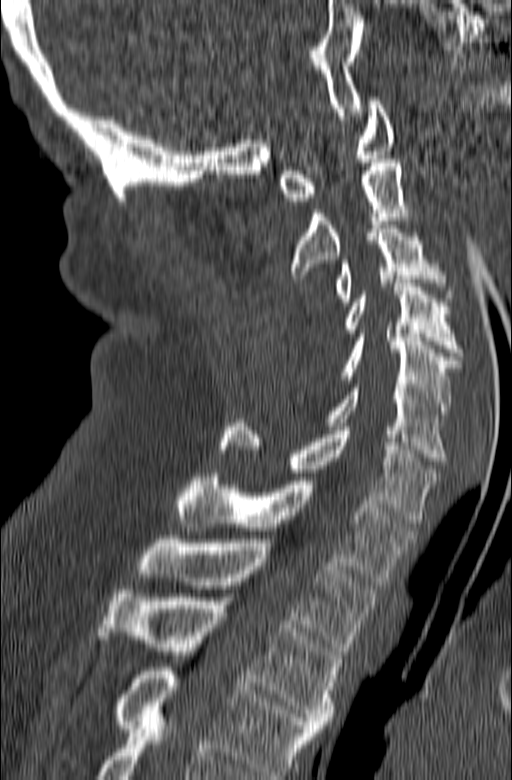

CT, spine · sagittal view · 165 mm across the image

Boxes are (x1, y1, x2, y2) in pixels.
Labels in this scan begin with C1 at the top and end with T3 at the bottom.
C1: (280, 97, 394, 205)
C2: (287, 159, 416, 278)
C3: (333, 225, 453, 305)
C4: (339, 283, 462, 356)
C5: (339, 334, 459, 418)
C6: (324, 384, 447, 461)
C7: (218, 419, 439, 523)
T1: (175, 473, 416, 585)
T2: (138, 539, 379, 651)
T3: (96, 590, 344, 728)